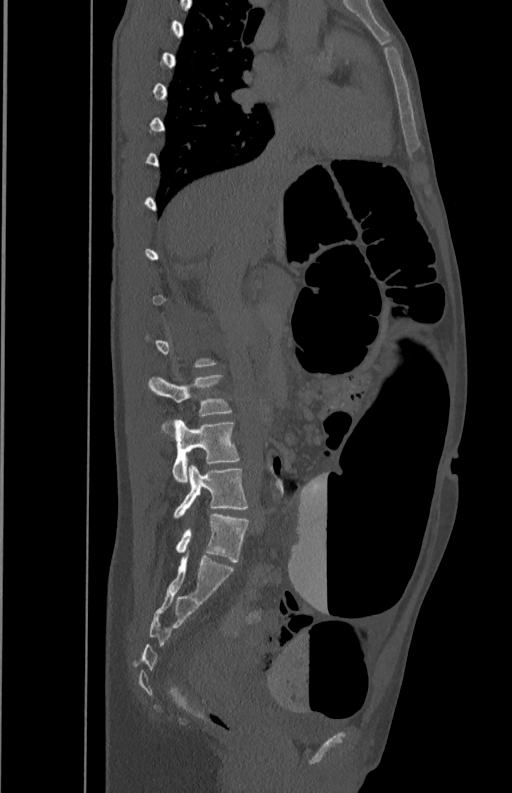
CT, spine · sagittal view · the image is 350 mm wide · bone-window reconstruction · 512x793 px
Bounding boxes as [x1, y1, x2, y2] in pixel coordinates.
A vertebra gets a box only on the slices from the first to the last where its cross-section is at least a third of its largest; on a slice outside that range it gets none.
L5: [174, 465, 247, 518]
L4: [171, 419, 239, 481]
L3: [148, 374, 231, 431]